Computed tomography of the spine. sagittal view. a uniform gray block covers part of the image
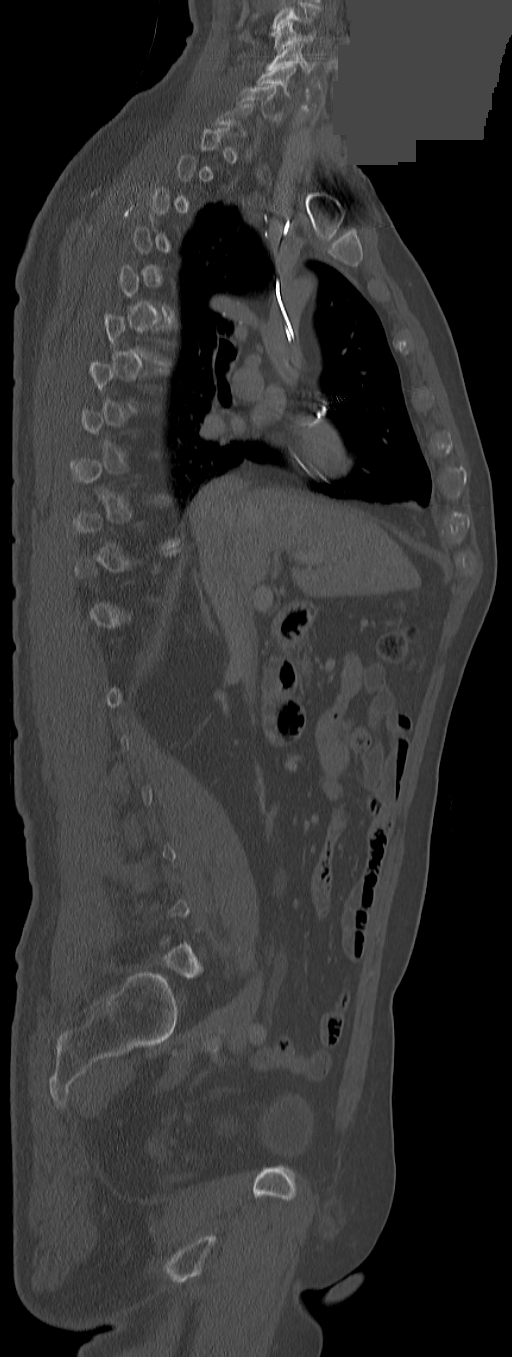

Bounding boxes as [x1, y1, x2, y2] in pixel coordinates.
A vertebra gets a box only on the slices from the first to the last where its cross-section is at least a third of its largest; on a slice outside that range it gets none.
Labels in this scan begin with C3 at the top and end with L5 at the bottom.
C3: [275, 21, 314, 52]
C4: [266, 43, 316, 71]
C5: [256, 66, 295, 94]
C6: [236, 85, 282, 120]